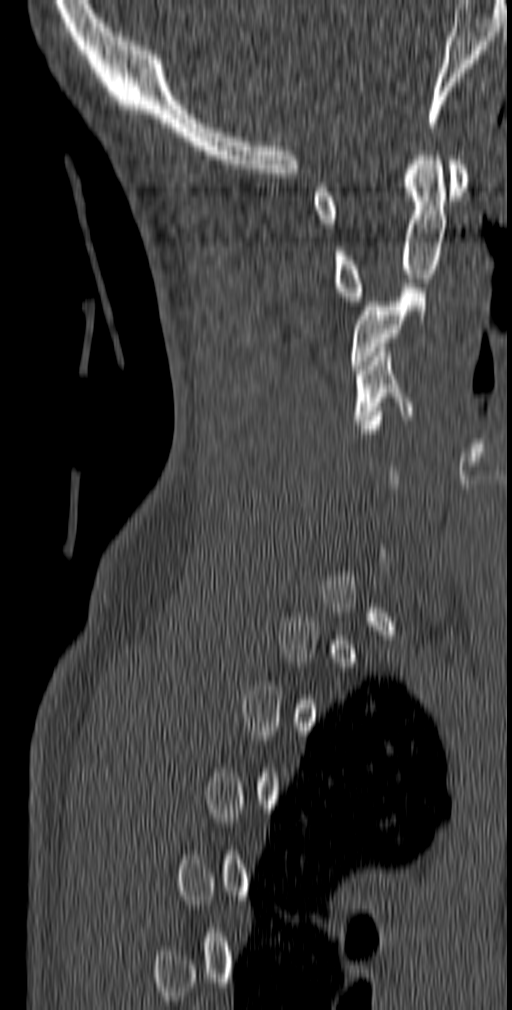

CT — sagittal view — 512x1010 px

Box edges are left/top/right/bottom in pixels.
A vertebra is boxed only from the first to the last slice where its cross-section is at least a third of its largest; slices outside that range leave it without a box.
C1: left=312, top=160, right=469, bottom=228
C2: left=333, top=151, right=446, bottom=301
C3: left=351, top=283, right=428, bottom=369
C4: left=352, top=347, right=411, bottom=424